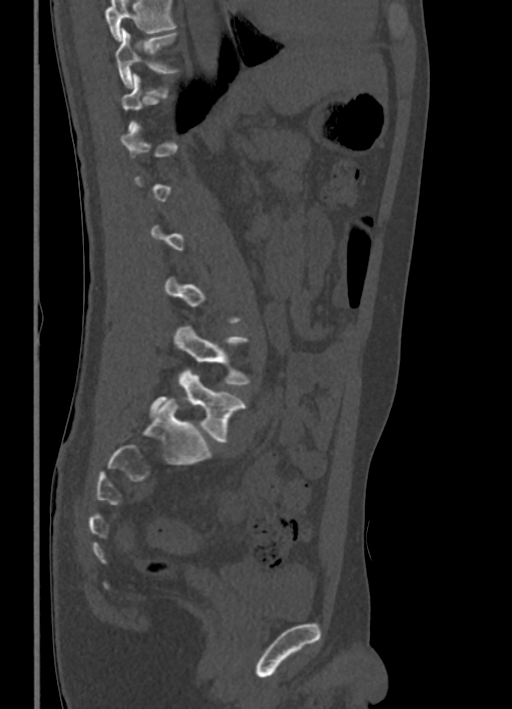

CT, spine. sagittal view
Not every vertebra on this slice has a box: a vertebra is boxed only from the first to the last slice where its cross-section is at least a third of its largest, and this slice is outside that range for at least one of them.
A vertebra cut off by the top edge of the scan is not labeled and has no box.
<vertebrae><v name="T10" x1="116" y1="29" x2="179" y2="87"/><v name="L4" x1="174" y1="324" x2="250" y2="384"/><v name="L5" x1="149" y1="368" x2="246" y2="443"/></vertebrae>